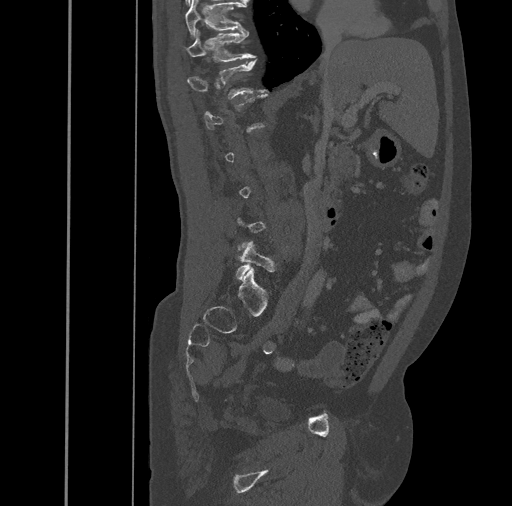
CT, spine. 461 mm image width. sagittal view. bone window
Bounding boxes as [x1, y1, x2, y2] in pixel coordinates.
Each vertebra is boxed only on the slices from the first to the last where its cross-section reaches a third of its largest, so a slice outside that range leaves it unboxed.
L5: [235, 242, 274, 279]
T12: [187, 59, 269, 100]
T11: [184, 29, 254, 62]
T10: [184, 0, 246, 37]